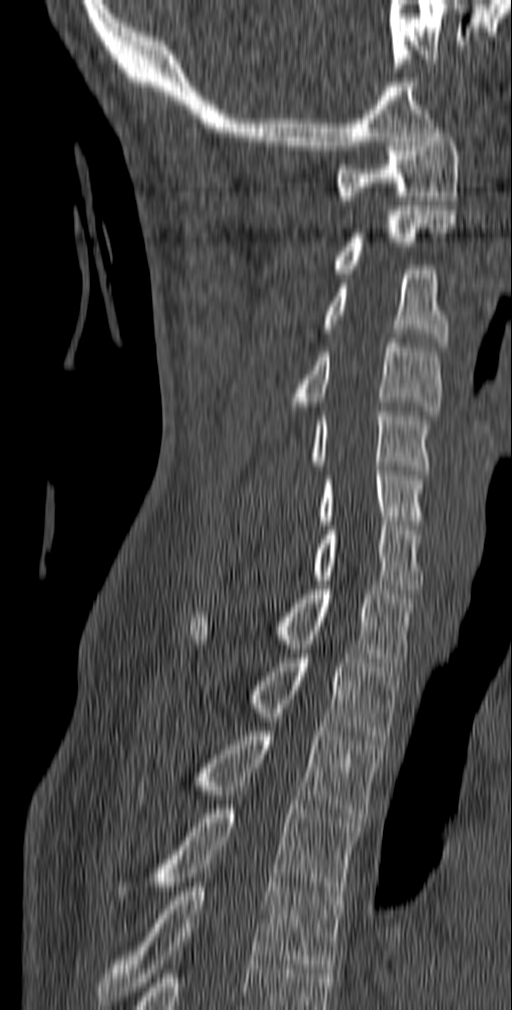 Spine computed tomography. sagittal view
Each row gives a vertebra's box as x1, y1, x2, y2 in pixels: top-left corner, then bottom-right corner.
| vertebra | x1 | y1 | x2 | y2 |
|---|---|---|---|---|
| T5 | 98 | 878 | 340 | 1005 |
| T4 | 117 | 805 | 359 | 900 |
| T3 | 134 | 727 | 383 | 822 |
| T2 | 248 | 654 | 402 | 740 |
| T1 | 189 | 585 | 414 | 666 |
| C7 | 314 | 521 | 423 | 593 |
| C6 | 318 | 466 | 425 | 525 |
| C5 | 312 | 407 | 432 | 474 |
| C4 | 292 | 338 | 441 | 415 |
| C3 | 301 | 265 | 449 | 346 |
| C2 | 330 | 206 | 456 | 273 |
| C1 | 334 | 128 | 460 | 200 |